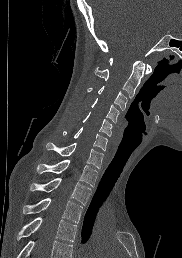 CT spine — sagittal view — 182x258 px

Coordinates as <box>x1,y1,x2,y2</box>.
A vertebra cut off by the bottom edge of the scan is not labeled and has no box.
Vertebra bounding boxes:
- T4: <box>17,217,76,242</box>
- T3: <box>23,198,82,222</box>
- T2: <box>30,178,91,204</box>
- T1: <box>37,159,97,186</box>
- C7: <box>46,142,103,168</box>
- C6: <box>63,127,107,150</box>
- C5: <box>82,112,112,136</box>
- C4: <box>91,98,119,122</box>
- C3: <box>87,86,127,110</box>
- C2: <box>95,61,144,97</box>
- C1: <box>109,58,151,73</box>